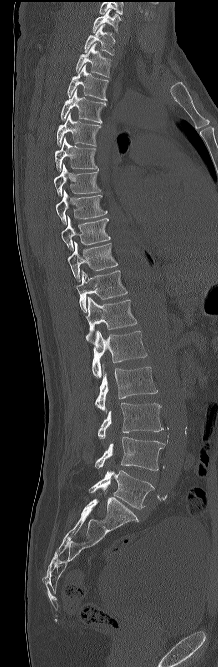
Spine CT — sagittal view — 218x667 px — the image spans 218 mm across
<vertebrae><v name="L5" x1="89" y1="470" x2="154" y2="508"/><v name="L4" x1="95" y1="436" x2="165" y2="470"/><v name="L3" x1="98" y1="402" x2="163" y2="438"/><v name="L2" x1="95" y1="364" x2="157" y2="413"/><v name="L1" x1="92" y1="330" x2="147" y2="378"/><v name="T12" x1="84" y1="296" x2="137" y2="345"/><v name="T11" x1="76" y1="270" x2="127" y2="312"/><v name="T10" x1="68" y1="241" x2="117" y2="281"/><v name="T9" x1="61" y1="216" x2="110" y2="250"/><v name="T8" x1="56" y1="190" x2="107" y2="224"/><v name="T7" x1="54" y1="164" x2="100" y2="197"/><v name="T6" x1="55" y1="136" x2="98" y2="171"/><v name="T5" x1="57" y1="113" x2="101" y2="146"/><v name="T4" x1="61" y1="89" x2="106" y2="123"/><v name="T3" x1="67" y1="65" x2="108" y2="100"/><v name="T2" x1="76" y1="43" x2="111" y2="77"/><v name="T1" x1="84" y1="24" x2="115" y2="55"/><v name="C7" x1="93" y1="9" x2="120" y2="32"/></vertebrae>